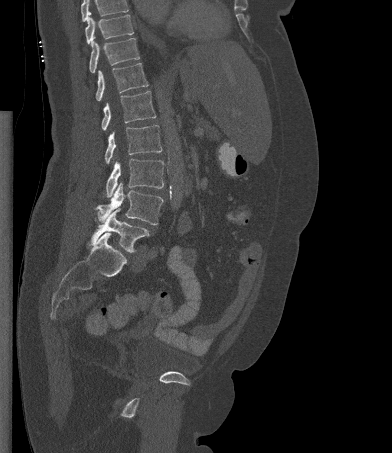

CT. sagittal view. 392x453 px
Coordinates as <box>x1,y1,x2,y2</box>.
Where the top of the scan cuts through a vertebra, that vertebra gets no label or box.
T10: <box>85,14,133,44</box>
T11: <box>89,38,139,73</box>
T12: <box>96,63,148,101</box>
L1: <box>101,91,156,130</box>
L2: <box>105,125,162,164</box>
L3: <box>106,159,164,197</box>
L4: <box>96,182,163,225</box>
L5: <box>90,209,149,252</box>